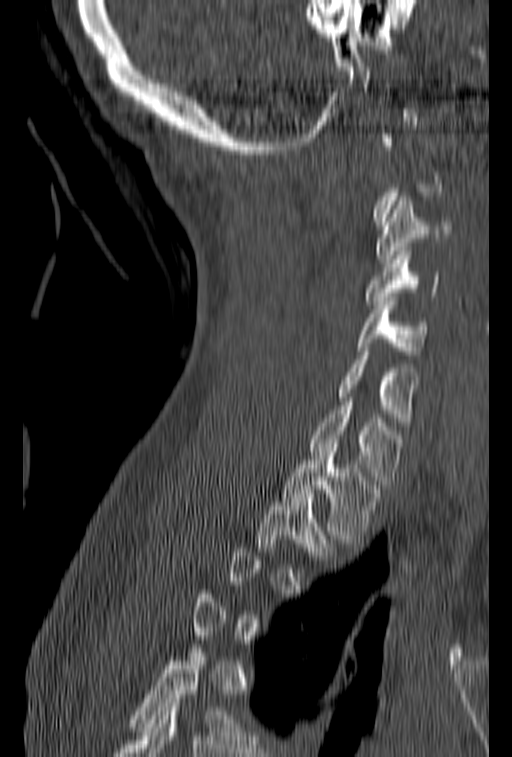
CT · the image is 153 mm wide · sagittal view · bone window · 512x757 px
Coordinates as <box>x1,y1,x2,y2</box>. Not every vertebra on this slice has a box: a vertebra is boxed only from the first to the last slice where its cross-section is at least a third of its largest, and this slice is outside that range for at least one of them. Vertebrae labeled: C3 at <box>376,197,451,263</box>, C4 at <box>366,247,439,304</box>, C5 at <box>356,297,429,355</box>, C6 at <box>336,343,419,421</box>, C7 at <box>309,397,402,484</box>, T1 at <box>282,452,381,543</box>, T2 at <box>257,489,340,555</box>.